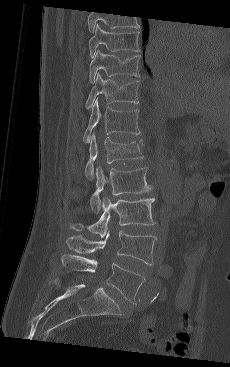 CT. sagittal view. W/L 1800/400 HU. 230x367 px
Each box given as x1,y1,x2,y2.
The highest labeled vertebra in this scan is T9; the lowest is L5.
Vertebra bounding boxes:
- L5: x1=61, y1=254, x2=145, y2=303
- L4: x1=66, y1=231, x2=156, y2=265
- L3: x1=69, y1=196, x2=155, y2=237
- L2: x1=90, y1=165, x2=151, y2=212
- L1: x1=85, y1=134, x2=143, y2=179
- T12: x1=83, y1=99, x2=140, y2=142
- T11: x1=85, y1=73, x2=139, y2=109
- T10: x1=89, y1=50, x2=140, y2=83
- T9: x1=89, y1=23, x2=140, y2=58